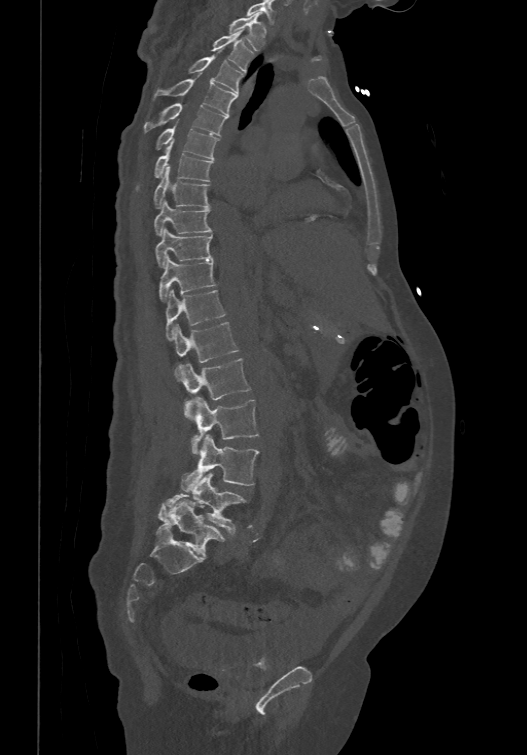
Computed tomography of the spine. sagittal reformat. Bone window (WL 400, WW 1800). 474 mm across the image

Boxes: x1 y1 x2 y2 (pixel coords, space-separated).
The highest labeled vertebra in this scan is T1; the lowest is L6.
These labels give the spine a sixth lumbar vertebra, L6, below L5.
Vertebra bounding boxes:
- L6: 157 499 225 556
- L5: 158 473 246 532
- L4: 181 435 259 491
- L3: 191 396 258 454
- L2: 177 357 250 420
- L1: 173 321 239 380
- T12: 166 288 225 339
- T11: 158 255 216 302
- T10: 155 227 212 267
- T9: 154 198 211 234
- T8: 153 167 209 207
- T7: 136 142 213 187
- T6: 155 124 219 157
- T5: 143 102 227 134
- T4: 152 77 237 114
- T3: 189 54 244 92
- T2: 211 29 253 71
- T1: 228 12 266 50